Spine CT · sagittal view · W/L 1800/400 HU · 512x651 px · scan covers 7 annotated vertebrae
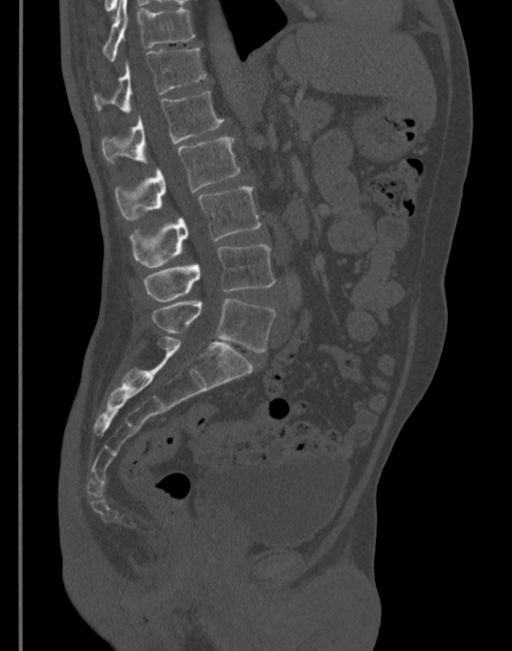 Boxes: x1:y1:x2:y2 in pixels. The labeled vertebrae in this slice are: T11 at 102:0:195:61, T12 at 93:49:205:111, L1 at 102:91:223:163, L2 at 114:138:239:220, L3 at 129:186:261:267, L4 at 144:245:275:301, L5 at 151:299:275:352.